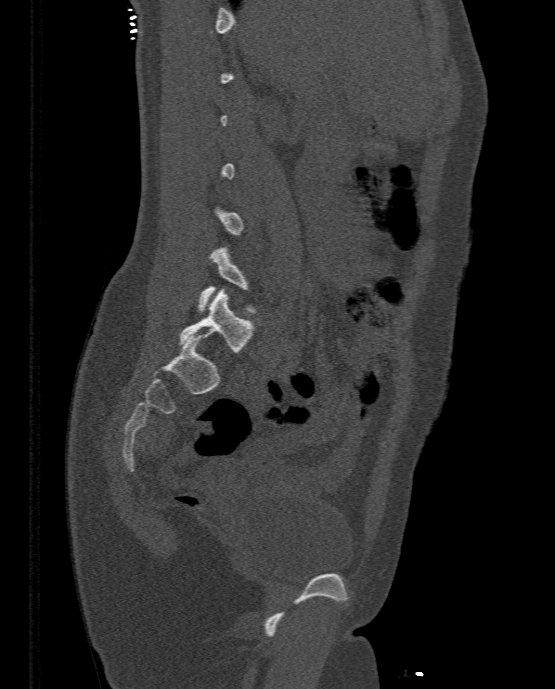
CT spine; sagittal view; bone window
Not every vertebra on this slice has a box: a vertebra is boxed only from the first to the last slice where its cross-section is at least a third of its largest, and this slice is outside that range for at least one of them.
<vertebrae><v name="L4" x1="198" y1="246" x2="257" y2="312"/><v name="L5" x1="179" y1="287" x2="254" y2="352"/></vertebrae>